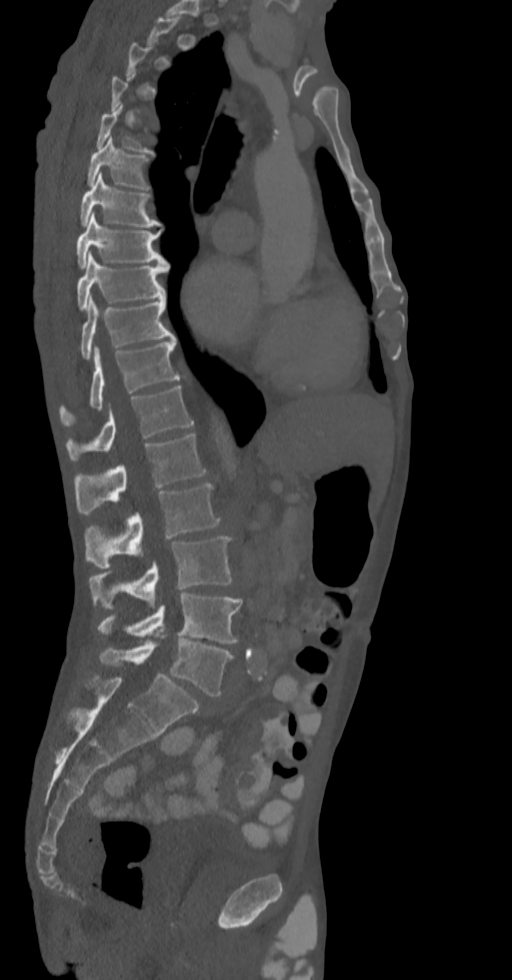

CT spine; sagittal reformat; bone-window reconstruction; 512x980 px

A vertebra is boxed only from the first to the last slice where its cross-section is at least a third of its largest; slices outside that range leave it without a box.
<vertebrae><v name="L5" x1="99" y1="635" x2="233" y2="695"/><v name="L4" x1="97" y1="593" x2="243" y2="642"/><v name="L3" x1="88" y1="536" x2="232" y2="609"/><v name="L2" x1="85" y1="483" x2="220" y2="569"/><v name="L1" x1="74" y1="433" x2="206" y2="514"/><v name="T12" x1="65" y1="386" x2="194" y2="461"/><v name="T11" x1="59" y1="340" x2="180" y2="426"/><v name="T10" x1="80" y1="297" x2="174" y2="359"/><v name="T9" x1="77" y1="253" x2="168" y2="310"/><v name="T8" x1="76" y1="212" x2="168" y2="269"/><v name="T7" x1="80" y1="172" x2="160" y2="226"/><v name="T6" x1="87" y1="136" x2="150" y2="189"/><v name="T5" x1="96" y1="104" x2="154" y2="154"/></vertebrae>